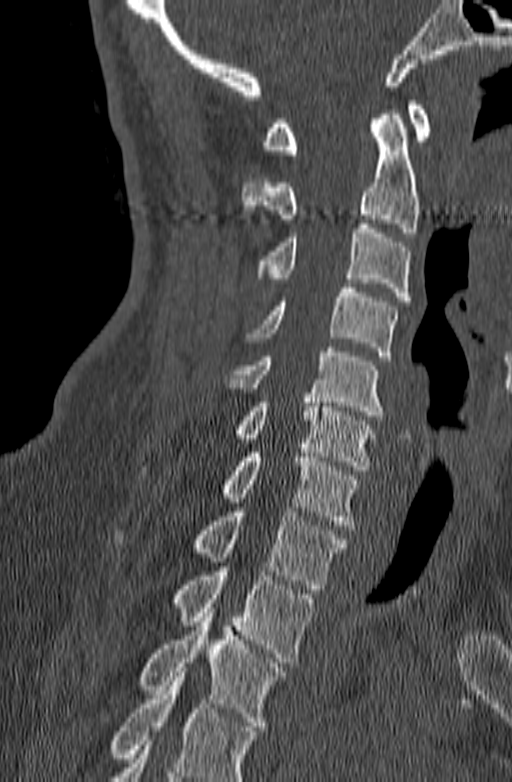
CT, spine; sagittal view; bone window

Each box is [x1, y1, x2, y2] in pixels: top-left corner, then bottom-right corner.
A vertebra cut off by the bottom edge of the scan is not labeled and has no box.
{"vertebrae":{"C1":[263,101,431,154],"C2":[241,114,419,237],"C3":[256,224,410,301],"C4":[246,283,399,360],"C5":[224,347,384,420],"C6":[235,393,376,470],"C7":[141,453,359,529],"T1":[114,507,344,589],"T2":[173,567,315,662],"T3":[138,608,285,730]}}